Spine computed tomography; sagittal view; 512x973 px
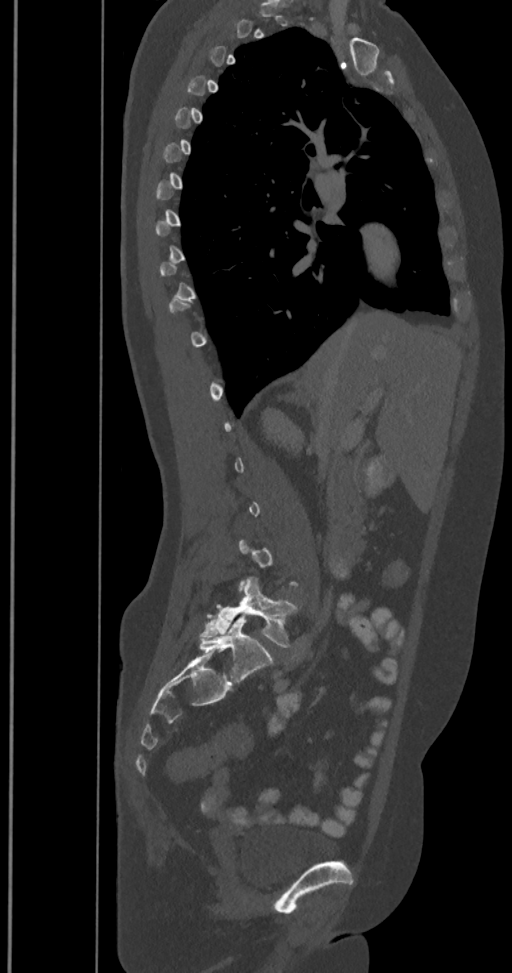
Boxes are given in columns x1, y1, x2, y2, the pixel coordinates of their top-left and bottom-right corners.
A vertebra is boxed only from the first to the last slice where its cross-section is at least a third of its largest; slices outside that range leave it without a box.
The labels name a sixth lumbar vertebra for this spine: L6, after L5.
| vertebra | x1 | y1 | x2 | y2 |
|---|---|---|---|---|
| L5 | 200 | 577 | 296 | 647 |
| L6 | 199 | 617 | 272 | 681 |